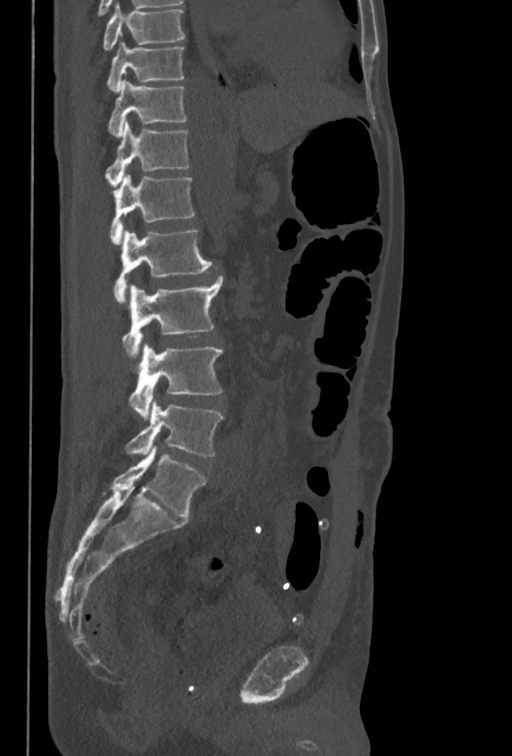

Computed tomography of the spine — sagittal view
Boxes are given in columns x1, y1, x2, y2, the pixel coordinates of their top-left and bottom-right corners.
In this scan, the topmost labeled vertebra is T10 and the lowest is L5.
| vertebra | x1 | y1 | x2 | y2 |
|---|---|---|---|---|
| T10 | 107 | 42 | 183 | 92 |
| T11 | 108 | 80 | 186 | 137 |
| T12 | 105 | 121 | 189 | 186 |
| L1 | 108 | 175 | 195 | 244 |
| L2 | 114 | 229 | 212 | 303 |
| L3 | 123 | 266 | 222 | 358 |
| L4 | 128 | 344 | 223 | 420 |
| L5 | 125 | 400 | 223 | 456 |